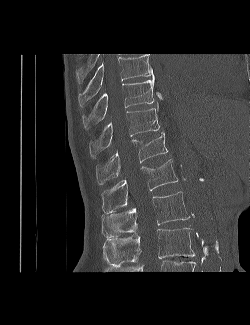 Computed tomography of the spine. sagittal view. 250x325 px

Boxes are given in columns x1, y1, x2, y2, the pixel coordinates of their top-left and bottom-right corners.
In this scan, the topmost labeled vertebra is T9 and the lowest is L3.
| vertebra | x1 | y1 | x2 | y2 |
|---|---|---|---|---|
| T9 | 78 | 54 | 154 | 106 |
| T10 | 82 | 76 | 162 | 128 |
| T11 | 89 | 102 | 159 | 158 |
| T12 | 96 | 132 | 168 | 184 |
| L1 | 101 | 159 | 178 | 213 |
| L2 | 102 | 191 | 190 | 237 |
| L3 | 103 | 228 | 195 | 267 |